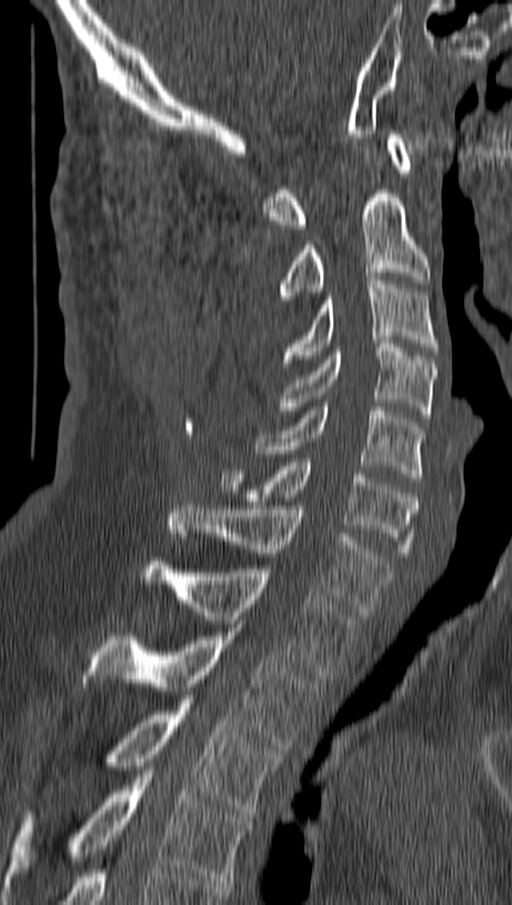

CT spine · sagittal view · 512x905 px · the image spans 162 mm across

Bounding boxes as [x1, y1, x2, y2] in pixel coordinates. The labeled vertebrae in this slice are: C1 at [263, 134, 413, 228], C2 at [279, 190, 430, 299], C3 at [282, 280, 439, 362], C4 at [279, 344, 436, 418], C5 at [257, 403, 424, 481], C6 at [219, 458, 417, 556], C7 at [169, 502, 392, 615], T1 at [143, 561, 357, 679], T2 at [83, 628, 319, 750], T3 at [105, 699, 281, 817], T4 at [5, 770, 250, 892].